Computed tomography of the spine — sagittal reformat — bone window — 512x263 px — 10 vertebrae labeled in this scan
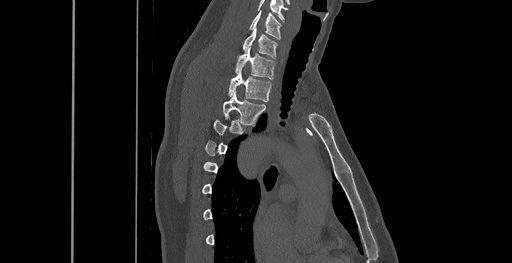 Boxes are given in columns x1, y1, x2, y2, the pixel coordinates of their top-left and bottom-right corners.
A vertebra gets a box only on the slices from the first to the last where its cross-section is at least a third of its largest; on a slice outside that range it gets none.
| vertebra | x1 | y1 | x2 | y2 |
|---|---|---|---|---|
| T3 | 223 | 92 | 265 | 124 |
| T2 | 228 | 72 | 271 | 101 |
| T1 | 235 | 47 | 275 | 79 |
| C7 | 242 | 27 | 277 | 58 |
| C6 | 250 | 11 | 281 | 39 |